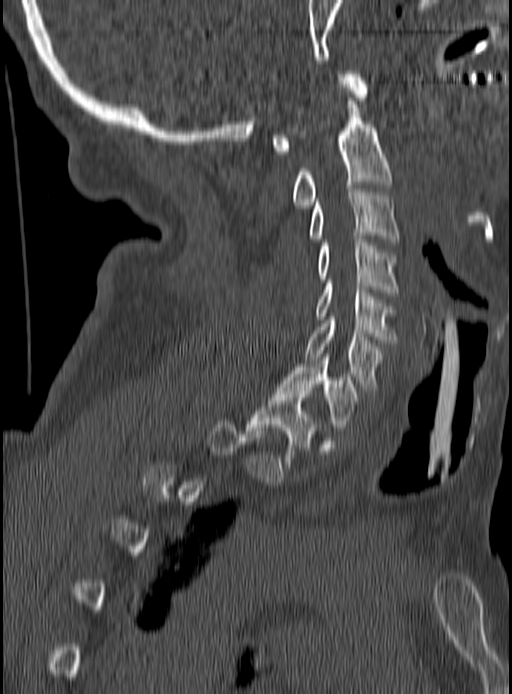
CT spine — sagittal view — 190 mm image width

Each vertebra is boxed only on the slices from the first to the last where its cross-section reaches a third of its largest, so a slice outside that range leaves it unboxed.
<vertebrae><v name="C1" x1="271" y1="71" x2="369" y2="154"/><v name="C2" x1="292" y1="98" x2="391" y2="208"/><v name="C3" x1="308" y1="189" x2="399" y2="242"/><v name="C4" x1="316" y1="236" x2="399" y2="295"/><v name="C5" x1="316" y1="283" x2="396" y2="343"/><v name="C6" x1="305" y1="317" x2="383" y2="390"/><v name="C7" x1="278" y1="357" x2="359" y2="430"/><v name="T1" x1="246" y1="391" x2="318" y2="467"/></vertebrae>